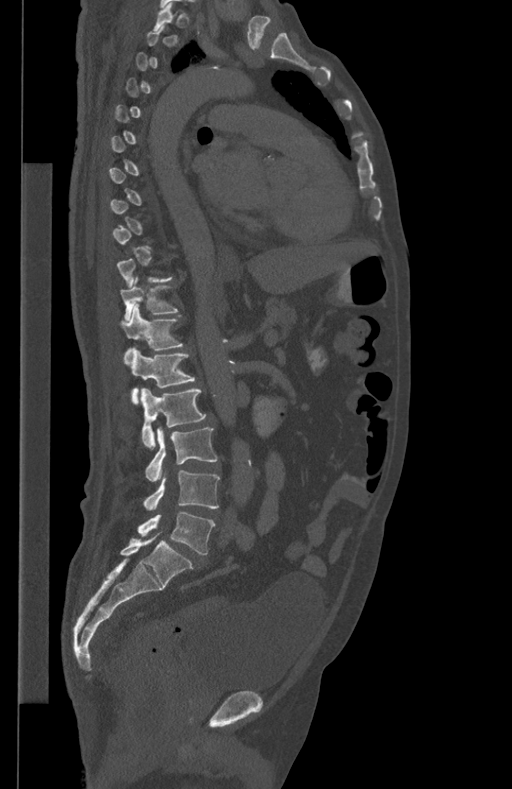

CT spine; sagittal view; bone window. Box edges are left/top/right/bottom in pixels.
A vertebra is boxed only from the first to the last slice where its cross-section is at least a third of its largest; slices outside that range leave it without a box.
| vertebra | x1 | y1 | x2 | y2 |
|---|---|---|---|---|
| T11 | 120 | 276 | 178 | 321 |
| T12 | 121 | 304 | 183 | 364 |
| L1 | 131 | 346 | 196 | 404 |
| L2 | 141 | 388 | 205 | 448 |
| L3 | 145 | 428 | 217 | 481 |
| L4 | 143 | 470 | 220 | 510 |
| L5 | 137 | 512 | 215 | 554 |